Spine CT — image 204 mm wide — sagittal view — 204x205 px — scan covers 5 annotated vertebrae
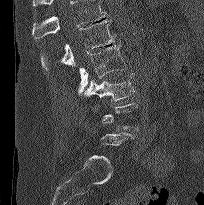

Each vertebra is boxed only on the slices from the first to the last where its cross-section reaches a third of its largest, so a slice outside that range leaves it unboxed.
Vertebrae that run past the top of the scan are left unlabeled.
<vertebrae><v name="L1" x1="41" y1="19" x2="115" y2="70"/><v name="L2" x1="78" y1="44" x2="126" y2="94"/><v name="L3" x1="84" y1="72" x2="135" y2="102"/></vertebrae>